CT, spine — sagittal plane, index 218 — 512x760 px
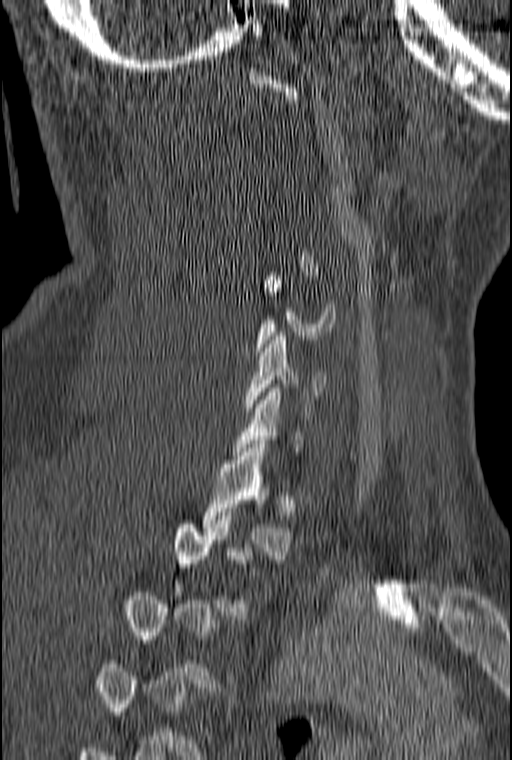

Each vertebra maps to its box as [x1, y1, x2, y2], the pixel coordinates of its top-left and bottom-right corners.
A vertebra gets a box only on the slices from the first to the last where its cross-section is at least a third of its largest; on a slice outside that range it gets none.
{"vertebrae":{"C5":[255,276,335,355],"C6":[245,332,327,411],"T1":[203,444,293,559]}}